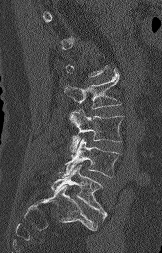

CT; sagittal reformat; Bone window (WL 400, WW 1800)
Not every vertebra on this slice has a box: a vertebra is boxed only from the first to the last slice where its cross-section is at least a third of its largest, and this slice is outside that range for at least one of them.
<vertebrae><v name="L2" x1="64" y1="73" x2="121" y2="109"/><v name="L3" x1="69" y1="109" x2="124" y2="152"/><v name="L4" x1="58" y1="139" x2="119" y2="178"/><v name="L5" x1="51" y1="165" x2="107" y2="222"/></vertebrae>